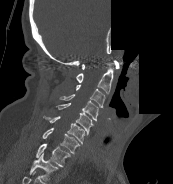
Spine computed tomography — sagittal view — image width 173 mm — 173x184 px — a portion of the image is blanked out (constant pixel value)
In this scan, the topmost labeled vertebra is C1 and the lowest is T1.
<vertebrae><v name="C1" x1="81" y1="60" x2="119" y2="69"/><v name="C2" x1="76" y1="69" x2="113" y2="94"/><v name="C3" x1="76" y1="84" x2="105" y2="107"/><v name="C4" x1="59" y1="94" x2="98" y2="121"/><v name="C5" x1="56" y1="103" x2="93" y2="134"/><v name="C6" x1="43" y1="115" x2="84" y2="144"/><v name="C7" x1="42" y1="128" x2="80" y2="153"/><v name="T1" x1="36" y1="143" x2="71" y2="167"/></vertebrae>